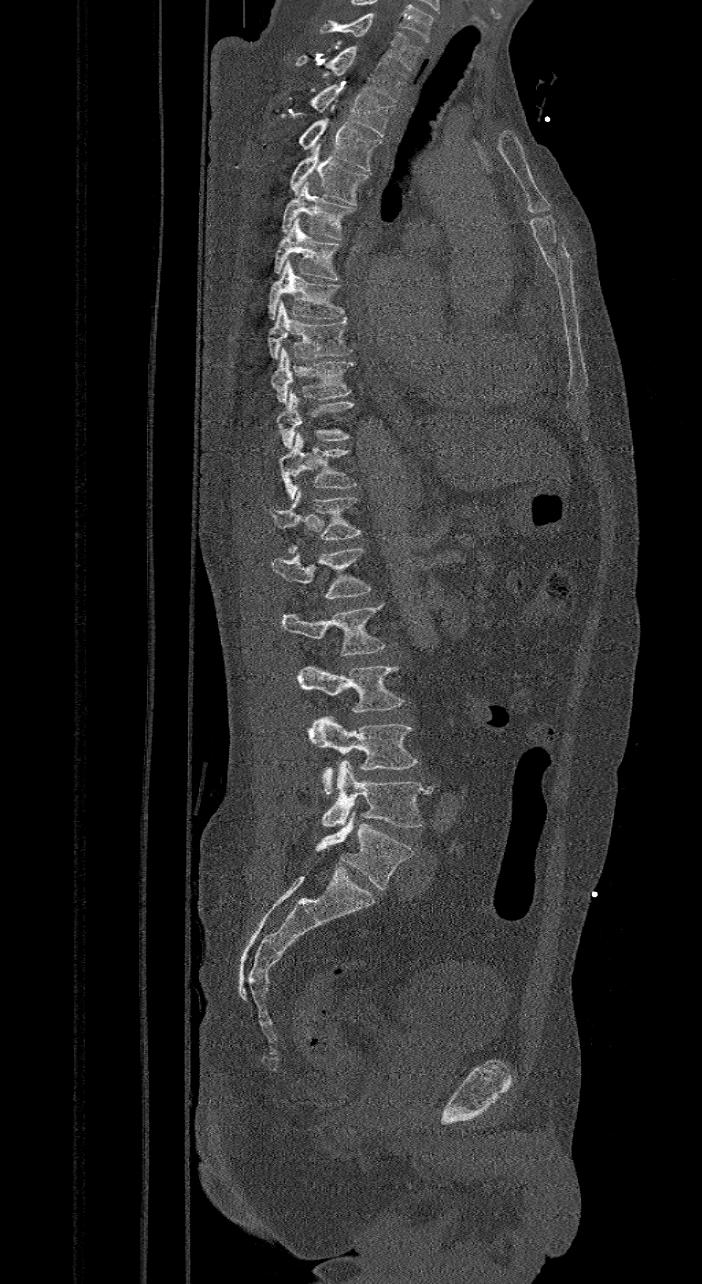

Computed tomography of the spine — 421 mm across the image — sagittal reformat — 702x1284 px
Boxes below are [x1, y1, x2, y2] in pixels.
In these labels the spine has an L6, a sixth lumbar vertebra below L5.
{"vertebrae":{"L6":[315,811,414,890],"L5":[322,761,432,828],"L4":[307,716,418,795],"L3":[296,666,403,712],"L2":[281,603,385,655],"L1":[271,547,370,597],"T12":[269,490,362,553],"T11":[278,432,357,499],"T10":[277,390,354,448],"T9":[270,347,354,402],"T8":[267,300,353,358],"T7":[267,260,348,320],"T6":[274,218,342,279],"T5":[281,180,355,239],"T4":[289,144,368,205],"T3":[299,119,380,170],"T2":[275,84,395,135],"T1":[295,45,407,102],"C7":[319,15,422,69]}}